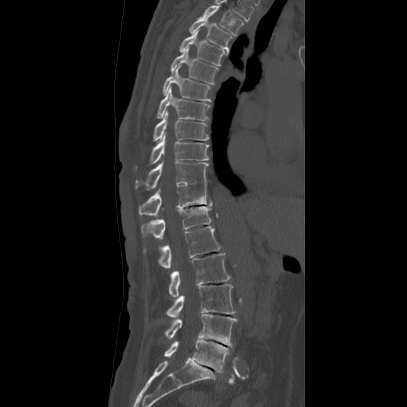

CT; sagittal view; 407x407 px
Coordinates as <box>x1,y1,x2,y2</box>. The labeled vertebrae in this slice are: L5 at <box>164,339,228,372</box>, L4 at <box>163,314,236,347</box>, L3 at <box>166,284,235,319</box>, L2 at <box>168,253,230,298</box>, L1 at <box>158,226,220,269</box>, T12 at <box>141,205,213,239</box>, T11 at <box>139,184,213,215</box>, T10 at <box>135,158,208,190</box>, T9 at <box>150,134,208,163</box>, T8 at <box>153,111,208,141</box>, T7 at <box>157,86,209,120</box>, T6 at <box>162,65,211,101</box>, T5 at <box>170,46,218,84</box>, T4 at <box>178,29,225,65</box>, T3 at <box>189,15,232,55</box>, T2 at <box>198,4,243,35</box>.